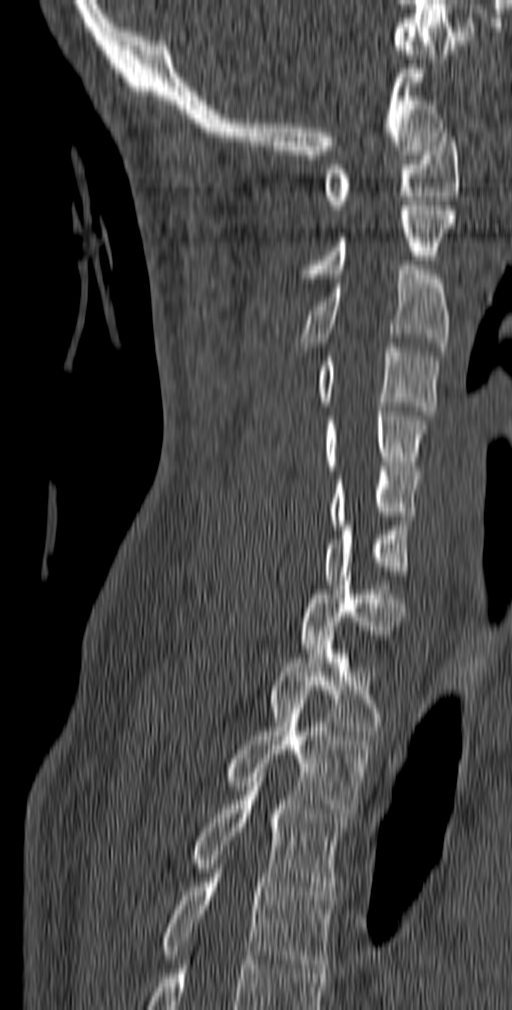
Spine computed tomography — sagittal view — 140 mm across the image — 512x1010 px
Each row gives a vertebra's box as x1, y1, x2, y2 in pixels: top-left corner, then bottom-right corner.
| vertebra | x1 | y1 | x2 | y2 |
|---|---|---|---|---|
| T5 | 161 | 869 | 335 | 973 |
| T4 | 192 | 773 | 348 | 900 |
| T3 | 224 | 695 | 371 | 817 |
| T2 | 268 | 631 | 384 | 740 |
| T1 | 296 | 576 | 405 | 653 |
| C7 | 323 | 521 | 411 | 584 |
| C6 | 330 | 466 | 421 | 529 |
| C5 | 323 | 407 | 428 | 470 |
| C4 | 316 | 343 | 439 | 415 |
| C3 | 297 | 265 | 450 | 356 |
| C2 | 300 | 201 | 455 | 282 |
| C1 | 323 | 128 | 459 | 209 |